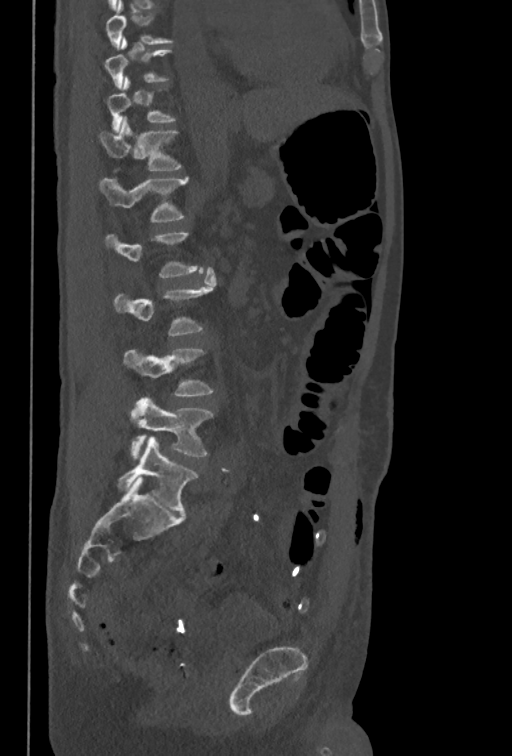
Computed tomography of the spine — sagittal reformat — 512x756 px
Boxes below are [x1, y1, x2, y2] in pixels.
A vertebra gets a box only on the slices from the first to the last where its cross-section is at least a third of its largest; on a slice outside that range it gets none.
{"vertebrae":{"L5":[130,398,212,458],"L4":[124,348,212,397],"L3":[114,267,216,335],"L1":[99,178,187,222],"T12":[99,117,180,170]}}